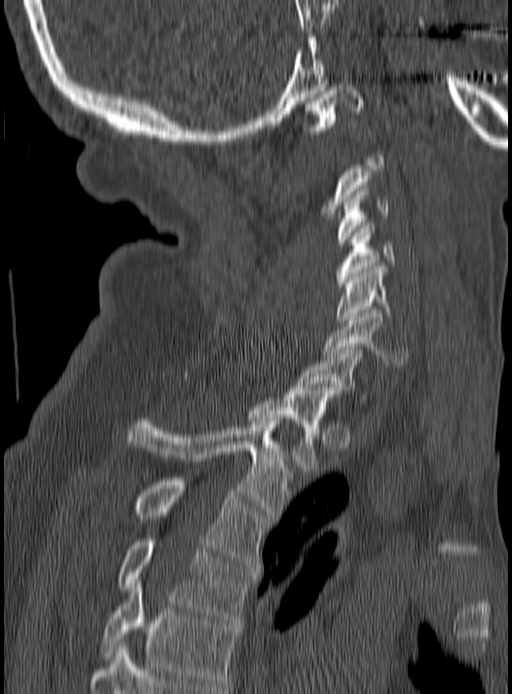

Spine CT · sagittal view · 190 mm image width · W/L 1800/400 HU. Each box given as x1,y1,x2,y2. Not every vertebra on this slice has a box: a vertebra is boxed only from the first to the last slice where its cross-section is at least a third of its largest, and this slice is outside that range for at least one of them. The labeled vertebrae in this slice are: C1 at x1=301, y1=84, x2=364, y2=134, C3 at x1=338, y1=185, x2=390, y2=245, C4 at x1=336, y1=222, x2=395, y2=289, C5 at x1=337, y1=266, x2=391, y2=322, C6 at x1=322, y1=310, x2=410, y2=366, C7 at x1=297, y1=347, x2=368, y2=403, T1 at x1=248, y1=387, x2=334, y2=471, T2 at x1=128, y1=418, x2=291, y2=518, T3 at x1=133, y1=478, x2=267, y2=565, T4 at x1=117, y1=539, x2=253, y2=622, T5 at x1=101, y1=579, x2=237, y2=686.